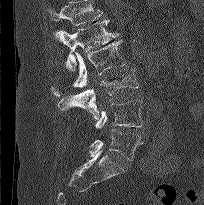 CT spine · sagittal view · W/L 1800/400 HU · 204x205 px

Bounding boxes as [x1, y1, x2, y2] in pixel coordinates.
Vertebrae that run past the top of the scan are left unlabeled.
L1: [56, 20, 119, 70]
L2: [51, 39, 125, 96]
L3: [57, 68, 138, 119]
L4: [95, 100, 142, 129]
L5: [89, 129, 142, 160]